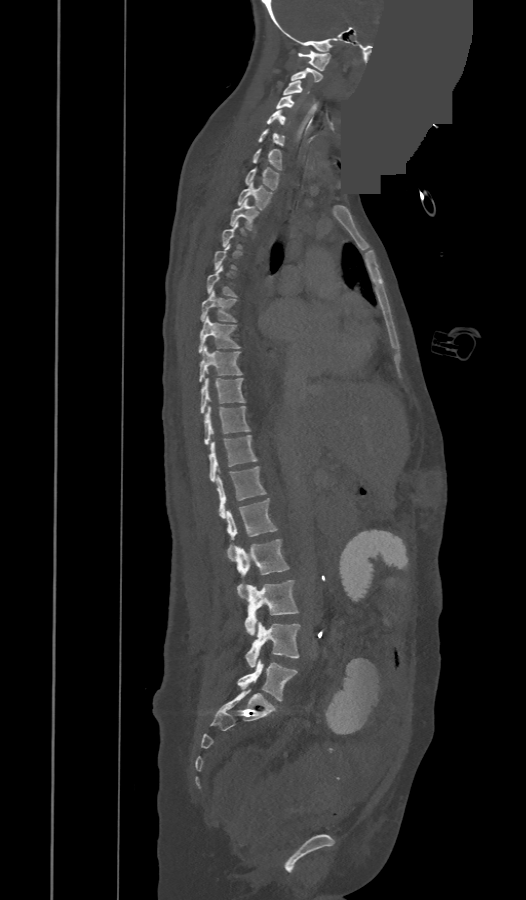
CT, spine. sagittal reformat. 526x900 px. an area of the scan was removed and filled with constant pixels
Box edges are left/top/right/bottom in pixels.
Each vertebra is boxed only on the slices from the first to the last where its cross-section reaches a third of its largest, so a slice outside that range leaves it unboxed.
These labels give the spine a thirteenth thoracic vertebra: T13 sits between T12 and L1.
L5: left=238, top=659, right=297, bottom=700
L4: left=245, top=622, right=299, bottom=667
L3: left=244, top=580, right=298, bottom=635
L2: left=231, top=539, right=288, bottom=594
L1: left=226, top=499, right=277, bottom=558
T13: left=217, top=467, right=266, bottom=518
T12: left=208, top=436, right=257, bottom=482
T11: left=204, top=406, right=250, bottom=444
T10: left=201, top=378, right=244, bottom=412
T9: left=199, top=346, right=241, bottom=381
T8: left=198, top=317, right=239, bottom=352
T7: left=201, top=291, right=234, bottom=321
T6: left=206, top=266, right=234, bottom=296
T3: left=230, top=199, right=258, bottom=229
T2: left=238, top=182, right=271, bottom=209
T1: left=245, top=167, right=278, bottom=189
C7: left=253, top=148, right=281, bottom=169
C6: left=259, top=129, right=284, bottom=146
C5: left=267, top=110, right=284, bottom=125
C4: left=276, top=96, right=294, bottom=109
C3: left=283, top=80, right=309, bottom=95
C2: left=290, top=68, right=322, bottom=81
C1: left=298, top=50, right=331, bottom=71